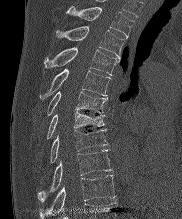
Spine CT; sagittal view; bone-window reconstruction; 182x219 px; 182 mm across the image
Each vertebra maps to its box as [x1, y1, x2, y2], the pixel coordinates of its top-left and bottom-right corners.
{"vertebrae":{"T2":[66,6,134,38],"T3":[56,26,124,57],"T4":[44,47,119,75],"T5":[40,69,110,100],"T6":[46,91,107,116],"T7":[47,111,104,139],"T8":[50,130,107,163],"T9":[37,150,112,201],"T10":[40,175,115,218]}}